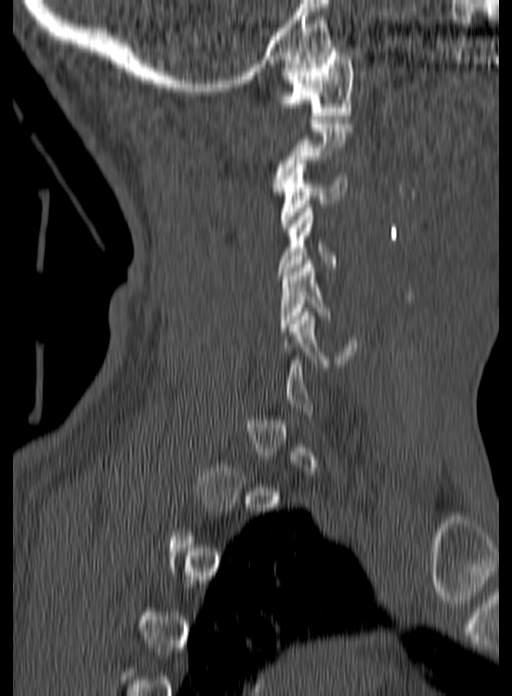
Spine CT — sagittal view — W/L 1800/400 HU
Boxes are (x1, y1, x2, y2) in pixels.
Not every vertebra on this slice has a box: a vertebra is boxed only from the first to the last slice where its cross-section is at least a third of its largest, and this slice is outside that range for at least one of them.
C1: (278, 48, 352, 119)
C3: (280, 160, 346, 231)
C4: (278, 208, 339, 275)
C5: (279, 260, 330, 331)
C6: (275, 308, 357, 367)